Spine computed tomography; sagittal plane, index 76; 160x205 px; an area of the scan was removed and filled with constant pixels
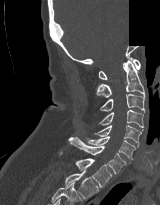

Each box given as x1,y1,x2,y2.
Vertebra bounding boxes:
- C1: x1=98, y1=56, x2=140, y2=79
- C2: x1=96, y1=60, x2=144, y2=97
- C3: x1=100, y1=94, x2=145, y2=112
- C4: x1=99, y1=110, x2=143, y2=127
- C5: x1=94, y1=125, x2=143, y2=147
- C6: x1=88, y1=136, x2=135, y2=159
- C7: x1=68, y1=137, x2=127, y2=173
- T1: x1=74, y1=158, x2=112, y2=187
- T2: x1=65, y1=170, x2=98, y2=198